CT spine. Sagittal slice 215/512. scan covers 11 annotated vertebrae
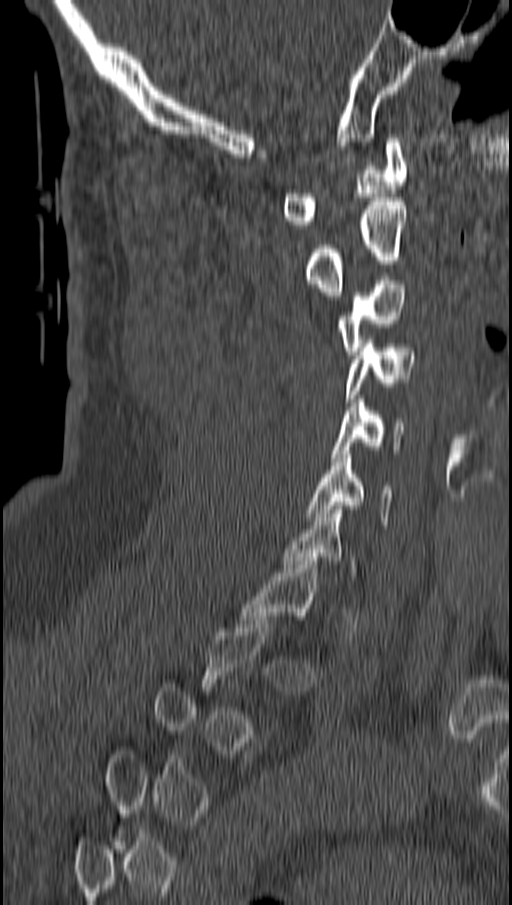 Box values are [left, top, right, bottom] in pixels.
Each vertebra is boxed only on the slices from the first to the last where its cross-section reaches a third of its largest, so a slice outside that range leaves it unboxed.
{"vertebrae":{"C6":[308,450,392,524],"C5":[330,399,405,461],"C4":[346,344,414,402],"C3":[336,280,408,355],"C2":[304,201,405,295],"C1":[282,138,407,228]}}